CT, spine · sagittal reformat · bone window · 512x714 px · scan covers 8 annotated vertebrae
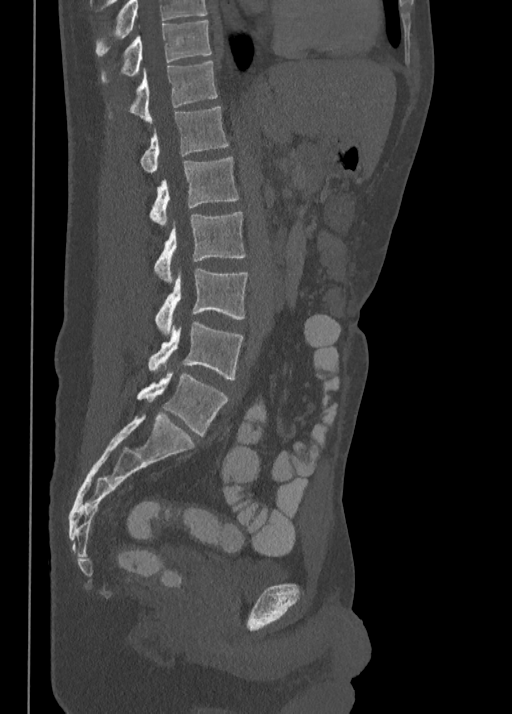

Each box given as x1,y1,x2,y2.
Labels in this scan begin with T10 at the top and end with L5 at the bottom.
Vertebra bounding boxes:
- L5: x1=137, y1=371, x2=228, y2=436
- L4: x1=148, y1=321, x2=243, y2=379
- L3: x1=155, y1=269, x2=247, y2=333
- L2: x1=153, y1=212, x2=246, y2=282
- L1: x1=149, y1=157, x2=239, y2=225
- T12: x1=140, y1=107, x2=228, y2=173
- T11: x1=108, y1=59, x2=218, y2=121
- T10: x1=101, y1=20, x2=211, y2=82